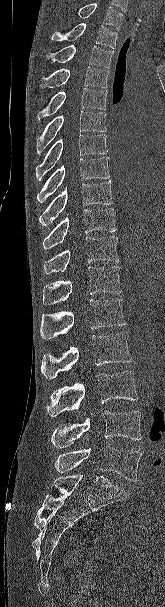
Spine CT. sagittal reformat
Box edges are left/top/right/bottom in pixels.
A vertebra cut off by the top edge of the scan is not labeled and has no box.
T2: left=51, top=23, right=117, bottom=48
T3: left=46, top=45, right=113, bottom=68
T4: left=40, top=66, right=109, bottom=88
T5: left=37, top=88, right=107, bottom=120
T6: left=37, top=111, right=106, bottom=154
T7: left=35, top=134, right=107, bottom=180
T8: left=36, top=157, right=109, bottom=202
T9: left=39, top=181, right=113, bottom=226
T10: left=42, top=208, right=117, bottom=249
T11: left=43, top=236, right=119, bottom=274
T12: left=42, top=266, right=121, bottom=305
L1: left=40, top=299, right=126, bottom=339
L2: left=41, top=332, right=132, bottom=379
L3: left=46, top=371, right=138, bottom=416
L4: left=51, top=411, right=141, bottom=448
L5: left=55, top=445, right=141, bottom=481